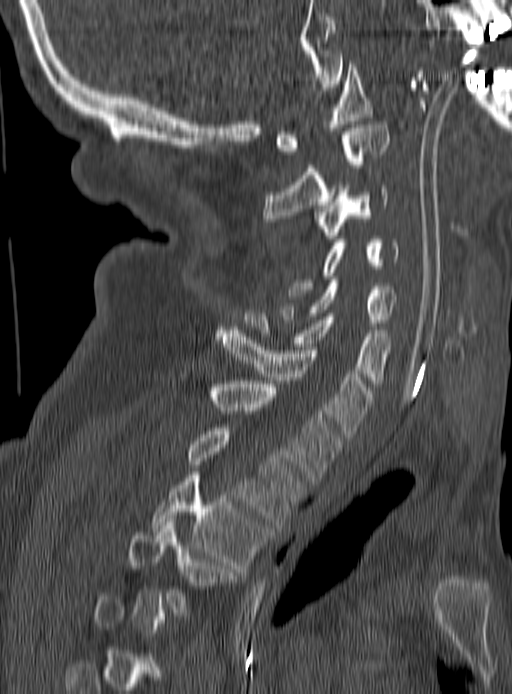
Computed tomography of the spine. image width 190 mm. sagittal view. bone-window reconstruction
Boxes are (x1, y1, x2, y2) in pixels.
A vertebra is boxed only from the first to the last slice where its cross-section is at least a third of its largest; slices outside that range leave it without a box.
Vertebra bounding boxes:
- C1: (276, 64, 373, 154)
- C2: (262, 121, 388, 225)
- C3: (316, 185, 388, 238)
- C4: (289, 236, 399, 299)
- C5: (281, 280, 396, 326)
- C6: (245, 310, 390, 383)
- C7: (216, 330, 372, 434)
- T1: (179, 367, 339, 484)
- T2: (187, 428, 304, 524)
- T3: (152, 472, 267, 575)
- T4: (128, 519, 240, 619)